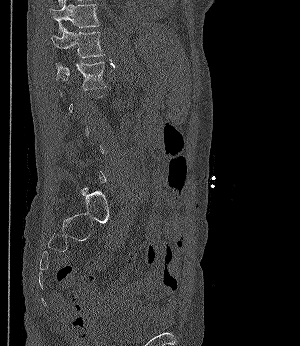 CT spine · sagittal view · W/L 1800/400 HU
A vertebra gets a box only on the slices from the first to the last where its cross-section is at least a third of its largest; on a slice outside that range it gets none.
<vertebrae><v name="T11" x1="50" y1="0" x2="99" y2="34"/><v name="T12" x1="50" y1="28" x2="103" y2="58"/><v name="L1" x1="56" y1="62" x2="105" y2="89"/></vertebrae>